Spine computed tomography — sagittal plane, index 98 — 164 mm image width — 164x404 px
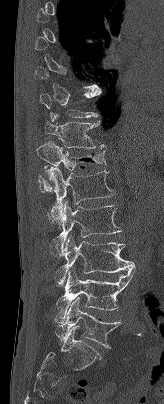 Boxes: x1 y1 x2 y2 (pixel coords, space-separated). Each vertebra is boxed only on the slices from the first to the last where its cross-section reaches a third of its largest, so a slice outside that range leaves it unboxed. 7 vertebrae labeled — T11 at 45 113 106 148; T12 at 37 142 105 192; L1 at 46 166 114 225; L2 at 50 201 121 256; L3 at 57 235 135 284; L4 at 56 268 135 319; L5 at 55 298 120 348.